CT. sagittal reformat. Bone window (WL 400, WW 1800)
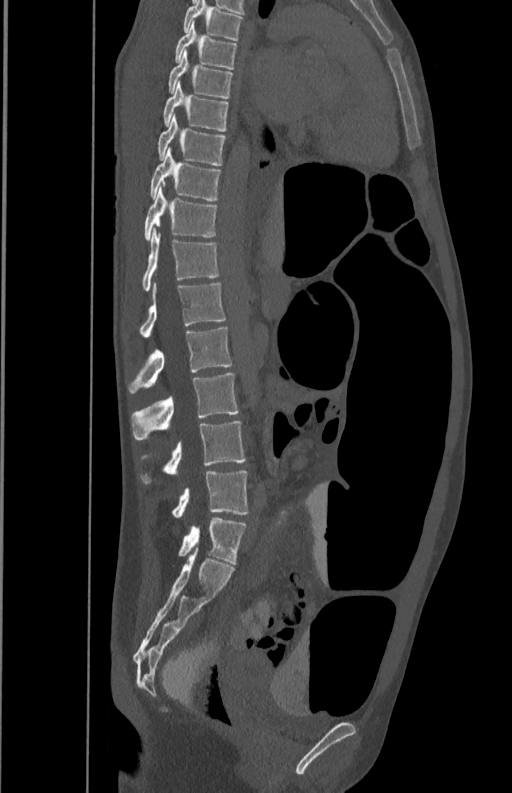 <vertebrae><v name="T5" x1="183" y1="1" x2="242" y2="40"/><v name="T6" x1="175" y1="21" x2="237" y2="69"/><v name="T7" x1="168" y1="53" x2="233" y2="98"/><v name="T8" x1="164" y1="82" x2="228" y2="131"/><v name="T9" x1="158" y1="113" x2="226" y2="165"/><v name="T10" x1="150" y1="147" x2="221" y2="200"/><v name="T11" x1="145" y1="187" x2="217" y2="240"/><v name="T12" x1="142" y1="228" x2="220" y2="291"/><v name="L1" x1="139" y1="282" x2="226" y2="339"/><v name="L2" x1="128" y1="327" x2="233" y2="393"/><v name="L3" x1="131" y1="373" x2="239" y2="439"/><v name="L4" x1="140" y1="421" x2="246" y2="483"/><v name="L5" x1="171" y1="471" x2="247" y2="516"/></vertebrae>